CT; sagittal plane, index 268; Bone window (WL 400, WW 1800)
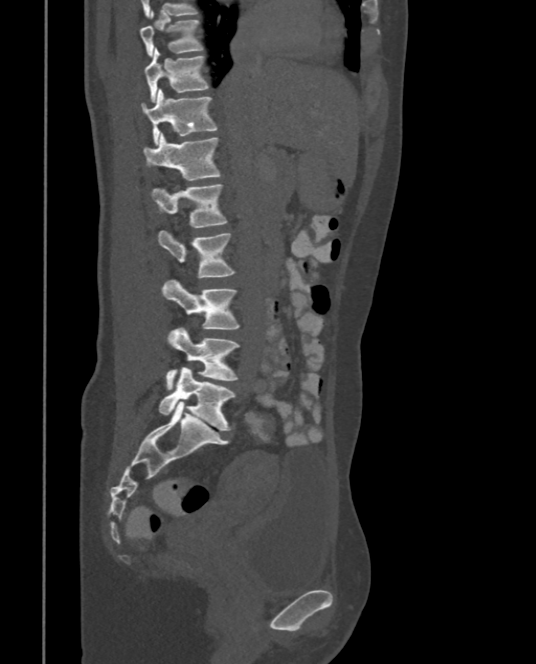

Each box given as x1,y1,x2,y2.
T9: x1=140, y1=12, x2=203, y2=56
T10: x1=144, y1=48, x2=209, y2=102
T11: x1=141, y1=88, x2=218, y2=144
T12: x1=142, y1=133, x2=222, y2=180
L1: x1=152, y1=184, x2=227, y2=227
L2: x1=157, y1=230, x2=234, y2=277
L3: x1=161, y1=280, x2=239, y2=329
L4: x1=166, y1=327, x2=239, y2=389
L5: x1=158, y1=367, x2=234, y2=430